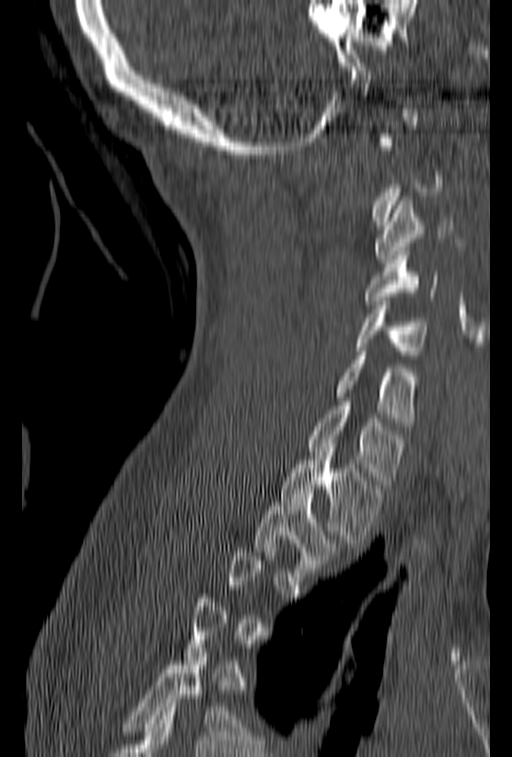

Spine computed tomography — sagittal reformat — bone window — 512x757 px

Boxes: x1 y1 x2 y2 (pixel coords, space-separated). Not every vertebra on this slice has a box: a vertebra is boxed only from the first to the last slice where its cross-section is at least a third of its largest, and this slice is outside that range for at least one of them. The labeled vertebrae in this slice are: C3 at 374 197 452 263, C4 at 365 247 439 304, C5 at 356 297 429 359, C6 at 334 347 419 426, C7 at 308 397 405 484, T1 at 279 452 383 543, T2 at 254 489 343 576.